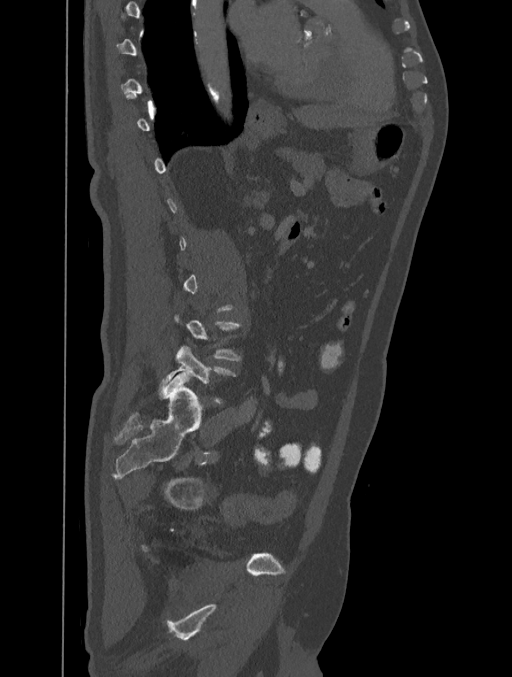

Spine computed tomography · sagittal reformat · 512x677 px. Box edges are left/top/right/bottom in pixels. Not every vertebra on this slice has a box: a vertebra is boxed only from the first to the last slice where its cross-section is at least a third of its largest, and this slice is outside that range for at least one of them. 2 vertebrae labeled — L4 at left=175, top=314, right=241, bottom=361; L5 at left=159, top=346, right=235, bottom=402.